CT · sagittal reformat · 512x824 px
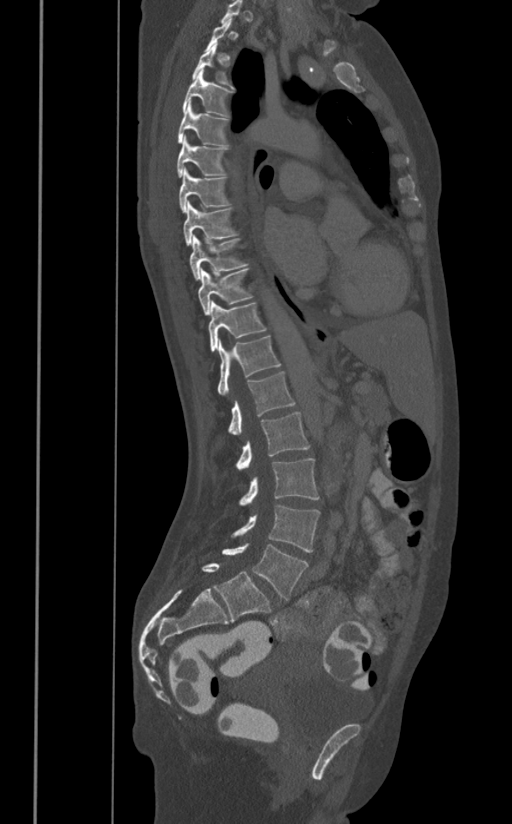
Boxes: x1 y1 x2 y2 (pixel coords, space-separated).
A vertebra is boxed only from the first to the last slice where its cross-section is at least a third of its largest; slices outside that range leave it without a box.
L5: 222 543 308 600
L4: 230 504 320 552
L3: 239 458 318 505
L2: 236 411 309 469
L1: 229 372 295 434
T12: 217 336 280 395
T11: 208 301 266 351
T10: 198 269 252 315
T9: 190 235 246 281
T8: 183 202 236 244
T7: 179 167 231 213
T6: 177 136 227 177
T5: 177 100 227 146
T4: 182 68 232 116
T3: 192 44 233 89